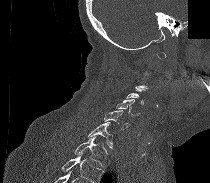

CT, spine; sagittal view; 210x183 px; a region is blanked to uniform black, ending in a straight edge
Not every vertebra on this slice has a box: a vertebra is boxed only from the first to the last slice where its cross-section is at least a third of its largest, and this slice is outside that range for at least one of them.
No box is given to a vertebra that the bottom edge of the scan cuts off.
<vertebrae><v name="C4" x1="126" y1="86" x2="145" y2="104"/><v name="C5" x1="116" y1="99" x2="140" y2="116"/><v name="C6" x1="104" y1="110" x2="130" y2="129"/><v name="C7" x1="87" y1="122" x2="112" y2="148"/><v name="T1" x1="74" y1="136" x2="108" y2="166"/></vertebrae>